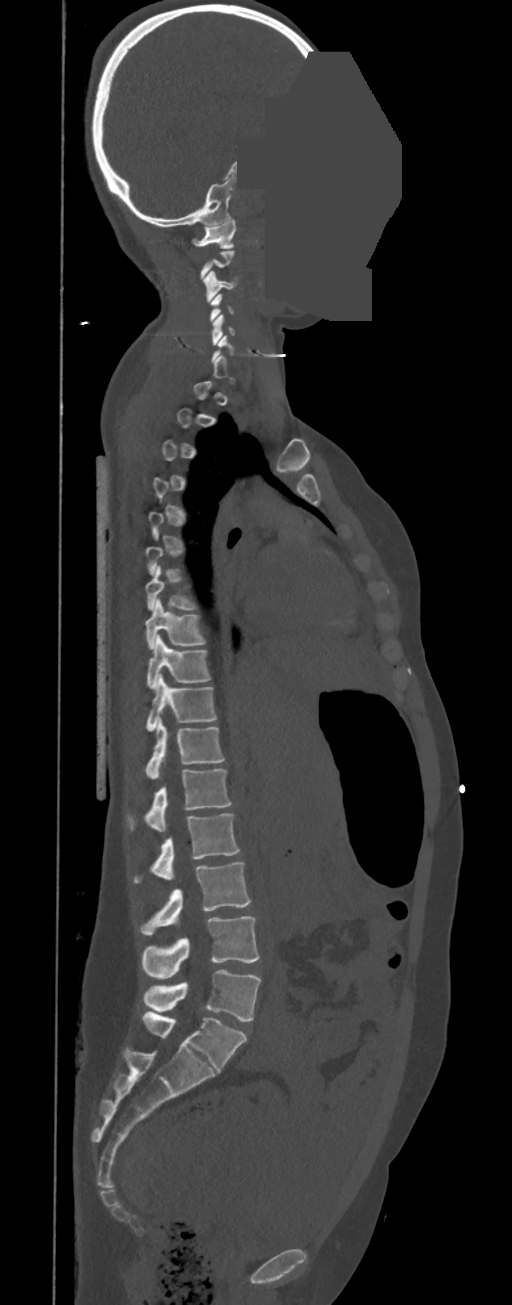
Spine computed tomography — sagittal view — the image is 350 mm wide — a region of this slice is masked with a uniform fill. Each box given as x1,y1,x2,y2.
A vertebra is boxed only from the first to the last slice where its cross-section is at least a third of its largest; slices outside that range leave it without a box.
In these labels the thoracic vertebrae end at T11, so L1 follows T11.
Vertebra bounding boxes:
- C1: x1=192, y1=217, x2=236, y2=248
- C3: x1=203, y1=270, x2=236, y2=302
- C5: x1=211, y1=315, x2=235, y2=345
- T7: x1=145, y1=566, x2=196, y2=610
- T8: x1=145, y1=598, x2=205, y2=648
- T9: x1=146, y1=635, x2=211, y2=688
- T10: x1=146, y1=674, x2=217, y2=731
- T11: x1=145, y1=718, x2=224, y2=778
- L1: x1=128, y1=769, x2=231, y2=831
- L2: x1=134, y1=814, x2=240, y2=882
- L3: x1=140, y1=862, x2=250, y2=935
- L4: x1=142, y1=916, x2=259, y2=979
- L5: x1=143, y1=970, x2=261, y2=1022